CT; sagittal plane, index 114; Bone window (WL 400, WW 1800)
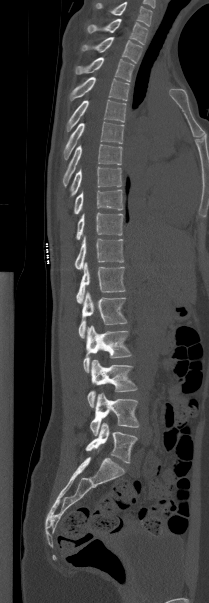
Box edges are left/top/right/bottom in pixels.
This scan's labels start at T1 at the top and end at L5 at the bottom.
T1: left=87, top=18, right=147, bottom=44
T2: left=81, top=37, right=142, bottom=62
T3: left=75, top=57, right=133, bottom=81
T4: left=69, top=77, right=129, bottom=101
T5: left=66, top=99, right=126, bottom=130
T6: left=63, top=122, right=123, bottom=159
T7: left=62, top=144, right=122, bottom=185
T8: left=70, top=166, right=121, bottom=196
T9: left=73, top=189, right=123, bottom=214
T10: left=76, top=212, right=122, bottom=240
T11: left=74, top=236, right=123, bottom=269
T12: left=76, top=262, right=125, bottom=303
L1: left=78, top=291, right=127, bottom=338
L2: left=83, top=325, right=131, bottom=372
L3: left=87, top=359, right=137, bottom=407
L4: left=90, top=393, right=139, bottom=435
L5: left=85, top=422, right=137, bottom=463